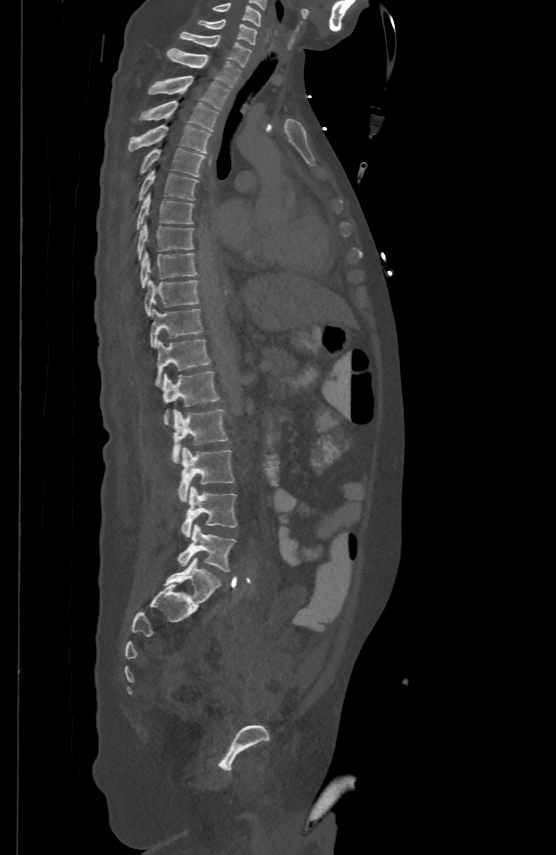 CT spine. sagittal view
Box edges are left/top/right/bottom in pixels.
Vertebra bounding boxes:
- L5: left=178, top=524, right=236, bottom=571
- L4: left=181, top=486, right=237, bottom=536
- L3: left=178, top=447, right=234, bottom=501
- L2: left=173, top=409, right=228, bottom=463
- L1: left=162, top=371, right=219, bottom=423
- T12: left=155, top=339, right=211, bottom=384
- T11: left=150, top=307, right=202, bottom=346
- T10: left=144, top=279, right=199, bottom=314
- T9: left=140, top=251, right=196, bottom=286
- T8: left=138, top=221, right=193, bottom=259
- T7: left=137, top=192, right=193, bottom=229
- T6: left=138, top=170, right=198, bottom=200
- T5: left=140, top=147, right=204, bottom=176
- T4: left=128, top=124, right=211, bottom=152
- T3: left=140, top=100, right=218, bottom=130
- T2: left=149, top=75, right=229, bottom=109
- T1: left=167, top=47, right=241, bottom=86
- C7: left=180, top=31, right=251, bottom=65
- C6: left=197, top=19, right=257, bottom=43
- C5: left=212, top=2, right=261, bottom=25